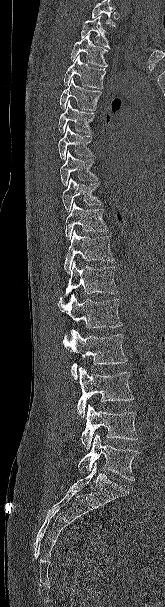 Spine CT. sagittal view. bone-window reconstruction. 165x607 px. Boxes are (x1, y1, x2, y2) in pixels.
Where the top of the scan cuts through a vertebra, that vertebra gets no label or box.
Vertebra bounding boxes:
- T2: (80, 15, 110, 48)
- T3: (70, 34, 108, 67)
- T4: (63, 55, 106, 88)
- T5: (59, 78, 101, 110)
- T6: (58, 100, 95, 134)
- T7: (58, 125, 94, 159)
- T8: (60, 151, 98, 186)
- T9: (62, 178, 101, 212)
- T10: (65, 202, 108, 241)
- T11: (64, 230, 114, 273)
- T12: (61, 261, 118, 300)
- L1: (58, 294, 122, 328)
- L2: (63, 329, 127, 379)
- L3: (77, 367, 134, 418)
- L4: (80, 404, 138, 450)
- L5: (78, 434, 138, 481)